CT — sagittal view — bone-window reconstruction — scan covers 24 annotated vertebrae — image width 368 mm — a portion of the image is blanked out (constant pixel value)
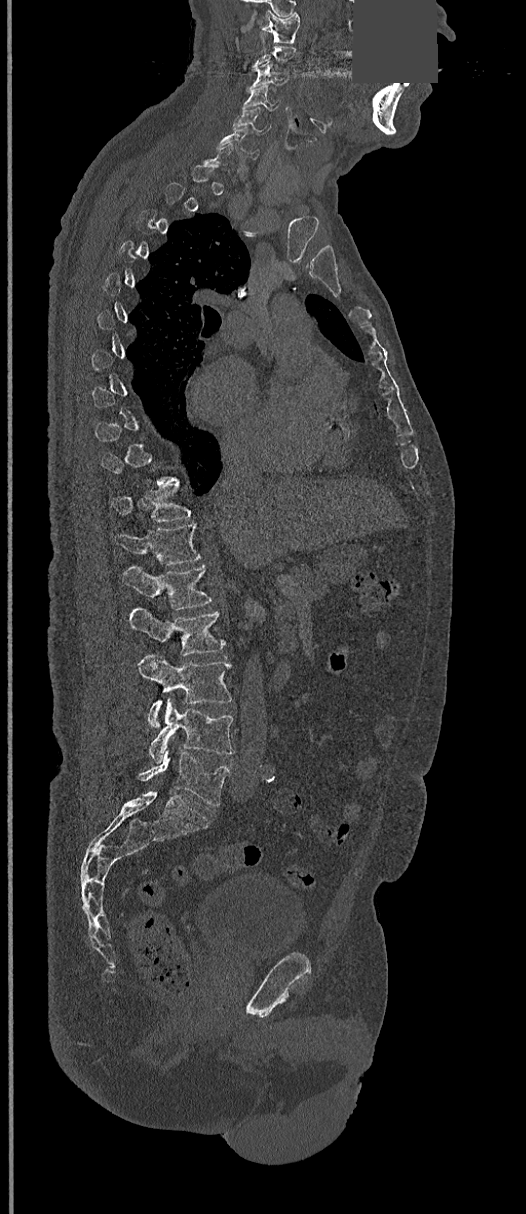 Coordinates as <box>x1,y1,x2,y2</box>.
Not every vertebra on this slice has a box: a vertebra is boxed only from the first to the last slice where its cross-section is at least a third of its largest, and this slice is outside that range for at least one of them.
Vertebra bounding boxes:
- C1: <box>263,12,299,43</box>
- C3: <box>248,60,291,88</box>
- C4: <box>242,87,278,111</box>
- C5: <box>233,107,272,133</box>
- C6: <box>217,127,260,158</box>
- T11: <box>111,486,190,522</box>
- T12: <box>114,524,200,565</box>
- L1: <box>121,566,212,610</box>
- L2: <box>128,607,223,656</box>
- L3: <box>137,654,232,726</box>
- L4: <box>148,698,234,764</box>
- L5: <box>139,746,230,805</box>